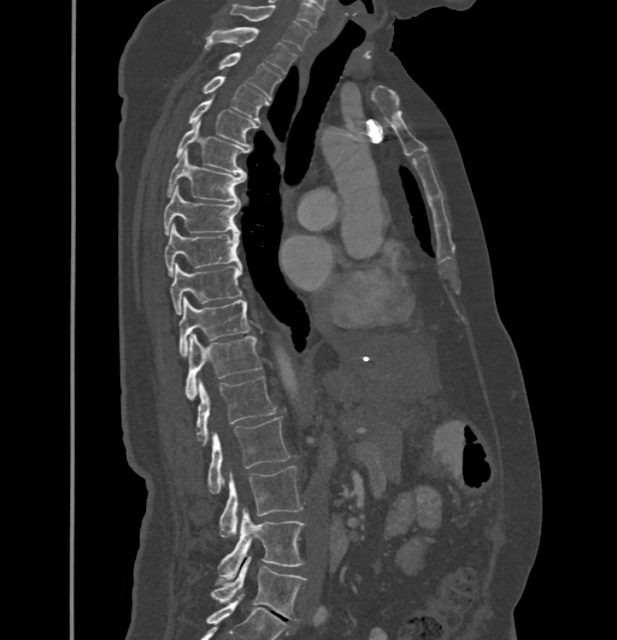

CT · sagittal view · 617x640 px. Boxes are (x1, y1, x2, y2) in pixels.
In these labels the thoracic vertebrae end at T11, so L1 follows T11.
Vertebra bounding boxes:
- L5: (211, 556, 306, 619)
- L4: (218, 509, 303, 582)
- L3: (219, 466, 302, 536)
- L2: (207, 416, 288, 494)
- L1: (196, 376, 276, 445)
- T11: (186, 333, 262, 399)
- T10: (178, 297, 249, 356)
- T9: (170, 263, 241, 315)
- T8: (164, 225, 240, 276)
- T7: (164, 186, 240, 235)
- T6: (168, 150, 245, 202)
- T5: (176, 122, 247, 174)
- T4: (188, 96, 257, 146)
- T3: (202, 76, 268, 121)
- T2: (218, 53, 282, 98)
- T1: (206, 27, 296, 74)
- C7: (230, 3, 310, 51)